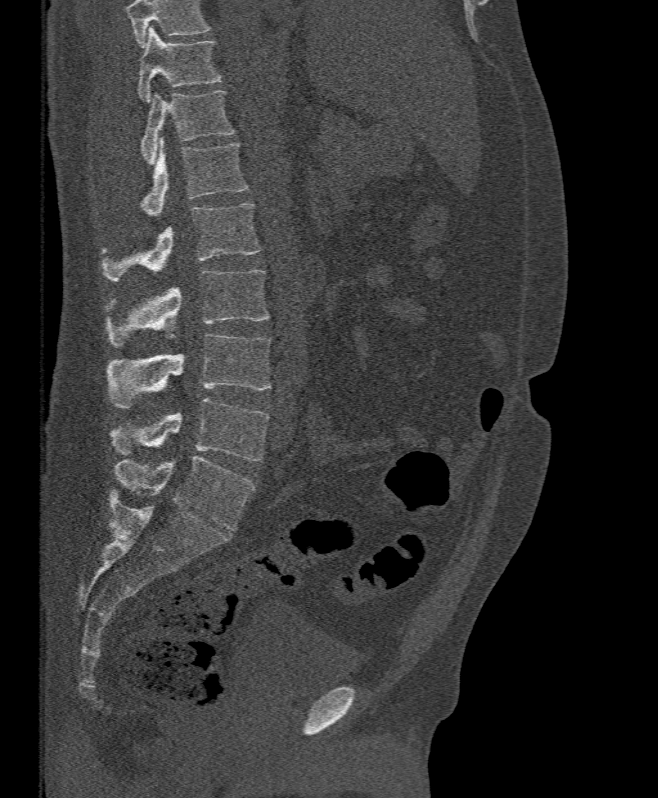 Spine CT — sagittal view — Bone window (WL 400, WW 1800) — 658x798 px
Boxes are (x1, y1, x2, y2) in pixels.
Vertebrae that run past the top of the scan are left unlabeled.
Vertebra bounding boxes:
- L5: (109, 398, 269, 461)
- L4: (107, 333, 270, 408)
- L3: (105, 270, 269, 346)
- L2: (100, 203, 260, 281)
- L1: (140, 138, 248, 216)
- T12: (140, 90, 234, 164)
- T11: (138, 27, 223, 102)